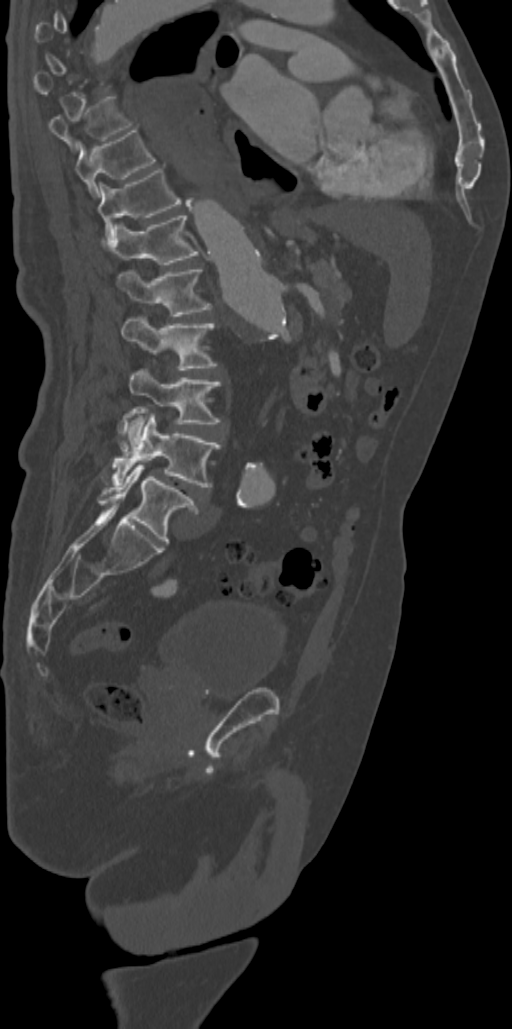
CT spine · sagittal view. Boxes: x1 y1 x2 y2 (pixel coords, space-separated).
Not every vertebra on this slice has a box: a vertebra is boxed only from the first to the last slice where its cross-section is at least a third of its largest, and this slice is outside that range for at least one of them.
Vertebra bounding boxes:
- T9: 49 97 132 150
- T10: 75 128 156 197
- T11: 97 168 181 246
- T12: 112 216 197 264
- L1: 117 267 211 316
- L2: 121 315 217 370
- L3: 129 368 220 444
- L4: 112 413 220 486
- L5: 97 463 198 543